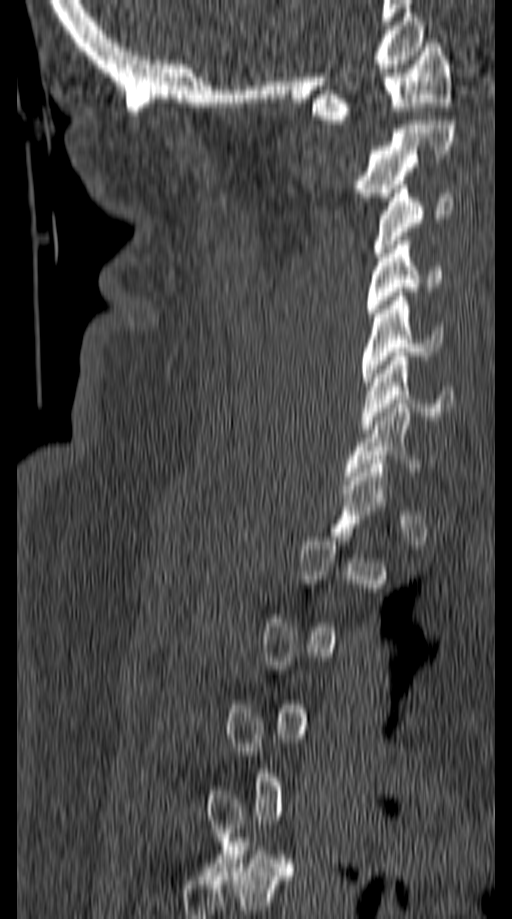 Spine computed tomography — sagittal view — 149 mm wide — 512x919 px
Boxes are (x1, y1, x2, y2) in pixels.
Each vertebra is boxed only on the slices from the first to the last where its cross-section reaches a third of its largest, so a slice outside that range leaves it unboxed.
C1: (313, 43, 451, 124)
C2: (355, 120, 454, 201)
C3: (372, 180, 453, 257)
C4: (366, 241, 440, 313)
C5: (362, 292, 443, 386)
C6: (362, 352, 458, 429)